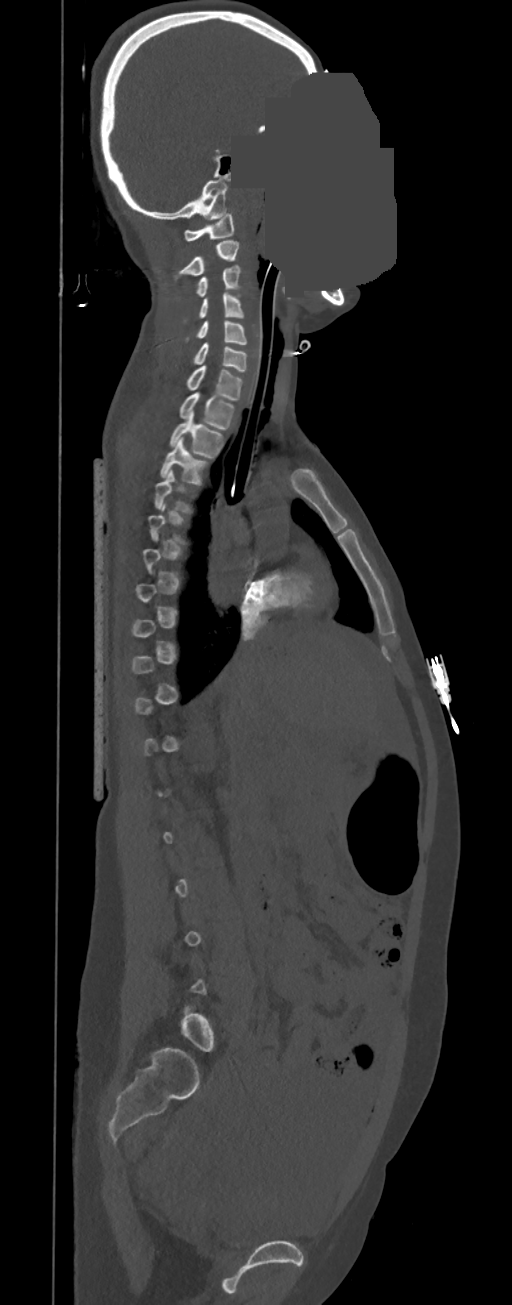

CT. sagittal view. 350 mm wide. W/L 1800/400 HU. some of the image was removed or blocked out with constant pixels
Boxes: x1 y1 x2 y2 (pixel coords, space-separated).
A vertebra is boxed only from the first to the last slice where its cross-section is at least a third of its largest; slices outside that range leave it without a box.
T4: 154 469 195 512
T3: 161 437 208 485
T2: 169 411 224 457
T1: 178 392 234 430
C7: 186 365 243 401
C6: 193 342 247 372
C5: 185 320 247 344
C4: 183 292 243 322
C3: 196 265 240 297
C2: 173 240 239 279
C1: 184 213 234 240